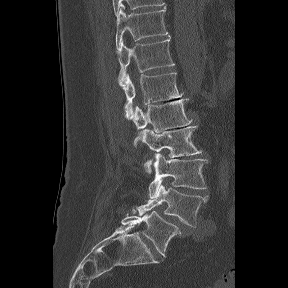
Spine computed tomography · sagittal view · 288 mm wide
Box edges are left/top/right/bottom in pixels.
These labels give the spine a sixth lumbar vertebra, L6, below L5.
T11: left=116, top=6, right=168, bottom=49
T12: left=117, top=35, right=174, bottom=85
L1: left=121, top=72, right=182, bottom=118
L2: left=131, top=99, right=193, bottom=148
L3: left=141, top=126, right=201, bottom=173
L4: left=148, top=153, right=207, bottom=198
L5: left=137, top=184, right=208, bottom=227
L6: left=121, top=210, right=185, bottom=257